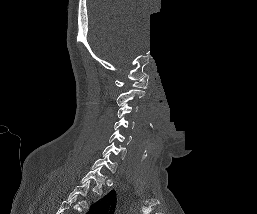
CT — sagittal view — image 257 mm wide — part of the image has been replaced by a constant value
Bounding boxes as [x1, y1, x2, y2] in pixel coordinates.
Labels in this scan begin with C1 at the top and end with T1 at the bottom.
T1: [80, 166, 107, 196]
C7: [90, 153, 117, 173]
C6: [102, 142, 126, 159]
C5: [108, 130, 132, 144]
C4: [114, 117, 134, 129]
C3: [117, 103, 138, 117]
C2: [116, 89, 145, 105]
C1: [115, 73, 148, 88]